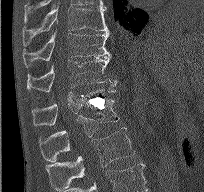
Computed tomography of the spine · sagittal view. Each box given as x1,y1,x2,y2.
| vertebra | x1 | y1 | x2 | y2 |
|---|---|---|---|---|
| T9 | 23 | 6 | 109 | 46 |
| T10 | 23 | 29 | 109 | 67 |
| T11 | 27 | 55 | 117 | 92 |
| T12 | 32 | 88 | 116 | 125 |
| L1 | 39 | 99 | 119 | 161 |
| L2 | 45 | 127 | 135 | 189 |